Spine computed tomography; Sagittal slice 262/512; bone-window reconstruction; 512x774 px; scan covers 17 annotated vertebrae; 391 mm wide
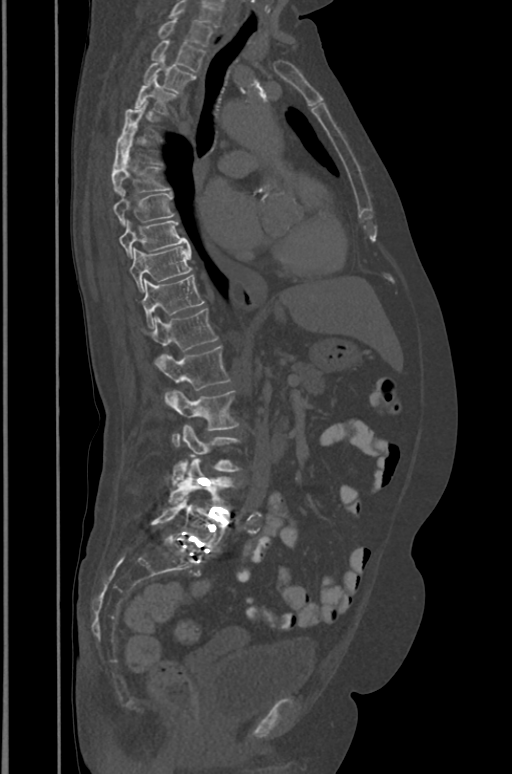 Boxes are given in columns x1, y1, x2, y2, the pixel coordinates of their top-left and bottom-right corners.
This scan's labels start at T1 at the top and end at L5 at the bottom.
| vertebra | x1 | y1 | x2 | y2 |
|---|---|---|---|---|
| T1 | 157 | 18 | 212 | 47 |
| T2 | 151 | 40 | 205 | 71 |
| T3 | 143 | 57 | 195 | 92 |
| T4 | 135 | 77 | 176 | 112 |
| T5 | 119 | 102 | 157 | 141 |
| T6 | 113 | 139 | 159 | 169 |
| T7 | 111 | 156 | 169 | 194 |
| T8 | 114 | 190 | 174 | 225 |
| T9 | 119 | 221 | 189 | 258 |
| T10 | 130 | 244 | 192 | 292 |
| T11 | 143 | 275 | 203 | 328 |
| T12 | 151 | 308 | 218 | 363 |
| L1 | 158 | 345 | 230 | 399 |
| L2 | 165 | 390 | 239 | 447 |
| L3 | 172 | 426 | 240 | 484 |
| L4 | 169 | 458 | 233 | 505 |
| L5 | 151 | 493 | 227 | 552 |